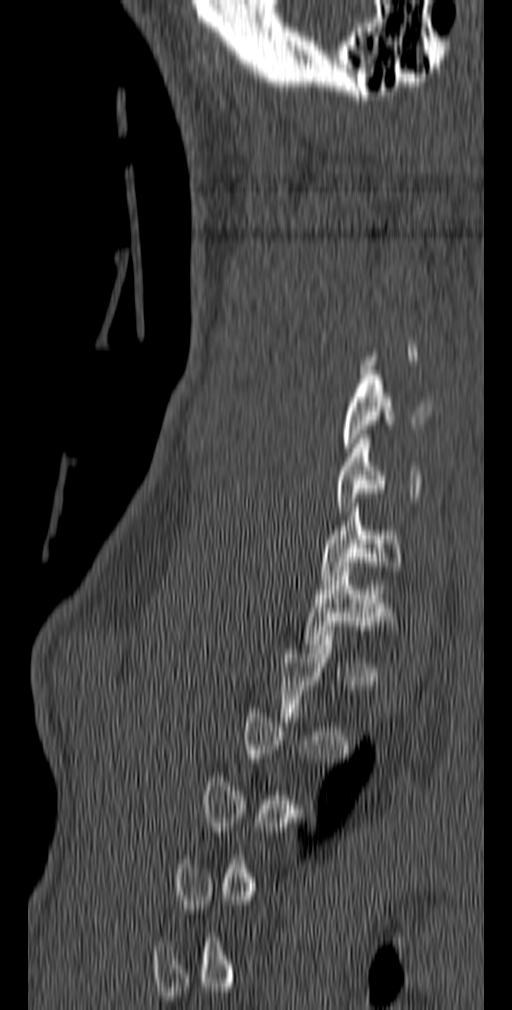

Spine computed tomography. sagittal view

Coordinates as <box>x1,y1,x2,y2</box>.
Not every vertebra on this slice has a box: a vertebra is boxed only from the first to the last slice where its cross-section is at least a third of its largest, and this slice is outside that range for at least one of them.
C5: <box>341,370,432,452</box>
C6: <box>337,434,422,511</box>
C7: <box>320,503,401,584</box>
T1: <box>305,567,395,653</box>